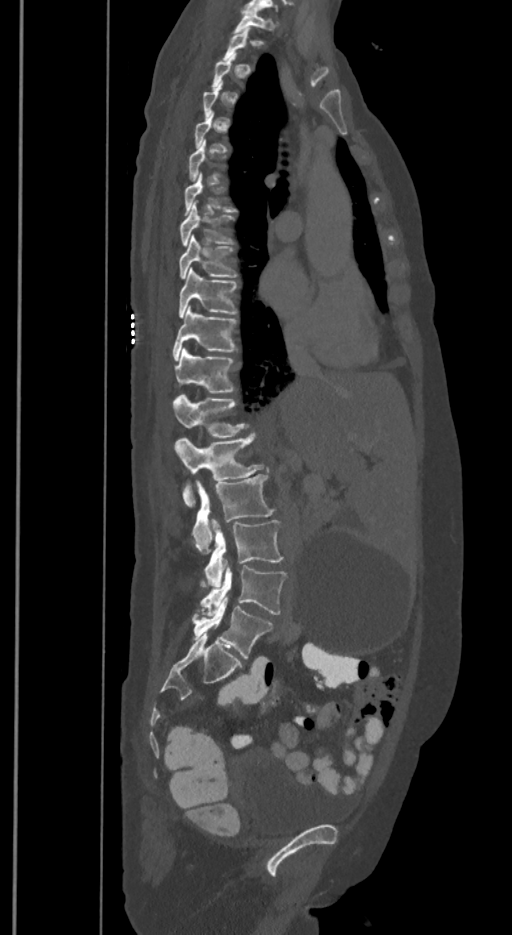
CT, spine. sagittal view
Each box is [x1, y1, x2, y2] in pixels: top-left corner, then bottom-right corner.
Not every vertebra on this slice has a box: a vertebra is boxed only from the first to the last slice where its cross-section is at least a third of its largest, and this slice is outside that range for at least one of them.
In these labels the spine has an L6, a sixth lumbar vertebra below L5.
{"vertebrae":{"T1":[233,9,272,33],"T7":[184,172,236,214],"T8":[180,200,234,247],"T9":[180,236,237,278],"T10":[178,267,237,318],"T11":[172,305,237,361],"T12":[175,349,234,401],"L1":[174,395,247,437],"L2":[175,432,264,507],"L3":[193,474,274,553],"L4":[205,520,283,588],"L5":[200,563,287,615],"L6":[192,595,272,657]}}